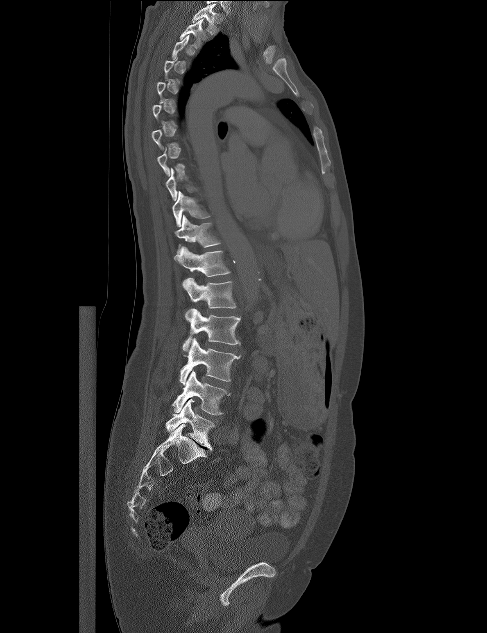

CT, spine. sagittal view. 487 mm wide
Each vertebra is boxed only on the slices from the first to the last where its cross-section reaches a third of its largest, so a slice outside that range leaves it unboxed.
<vertebrae><v name="T1" x1="192" y1="4" x2="222" y2="35"/><v name="T2" x1="179" y1="19" x2="206" y2="49"/><v name="T9" x1="165" y1="168" x2="199" y2="200"/><v name="T10" x1="172" y1="191" x2="211" y2="227"/><v name="T11" x1="174" y1="215" x2="221" y2="254"/><v name="T12" x1="174" y1="246" x2="230" y2="276"/><v name="L1" x1="182" y1="278" x2="236" y2="321"/><v name="L2" x1="183" y1="309" x2="240" y2="352"/><v name="L3" x1="179" y1="338" x2="240" y2="385"/><v name="L4" x1="172" y1="370" x2="230" y2="415"/><v name="L5" x1="165" y1="399" x2="215" y2="450"/></vertebrae>